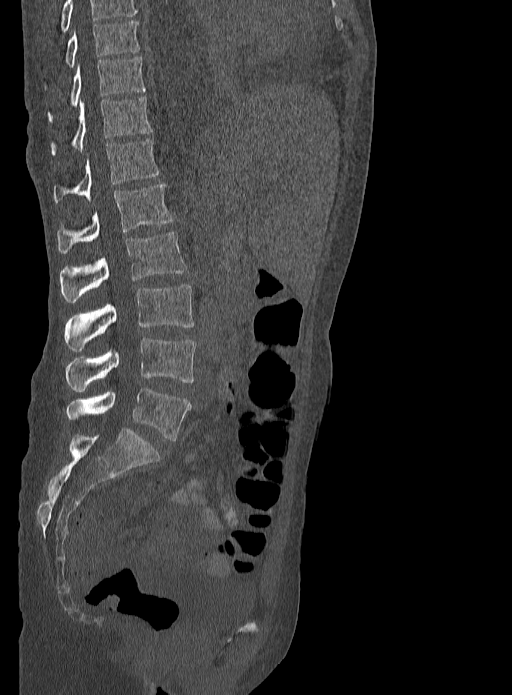 Spine CT; sagittal view; bone-window reconstruction. Box edges are left/top/right/bottom in pixels.
This scan's labels start at T9 at the top and end at L5 at the bottom.
T9: left=64, top=20, right=140, bottom=67
T10: left=47, top=57, right=146, bottom=122
T11: left=50, top=97, right=152, bottom=154
T12: left=54, top=138, right=159, bottom=203
L1: left=57, top=183, right=174, bottom=253
L2: left=60, top=232, right=186, bottom=302
L3: left=64, top=284, right=194, bottom=351
L4: left=66, top=338, right=196, bottom=391
L5: left=66, top=387, right=191, bottom=440